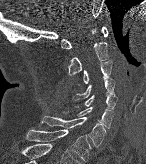 Spine computed tomography · sagittal view · bone-window reconstruction
<vertebrae><v name="T1" x1="26" y1="128" x2="91" y2="162"/><v name="C7" x1="41" y1="116" x2="105" y2="147"/><v name="C6" x1="77" y1="107" x2="112" y2="128"/><v name="C5" x1="84" y1="94" x2="117" y2="110"/><v name="C4" x1="72" y1="76" x2="114" y2="100"/><v name="C3" x1="82" y1="62" x2="111" y2="83"/><v name="C2" x1="68" y1="26" x2="108" y2="74"/><v name="C1" x1="61" y1="26" x2="108" y2="49"/></vertebrae>